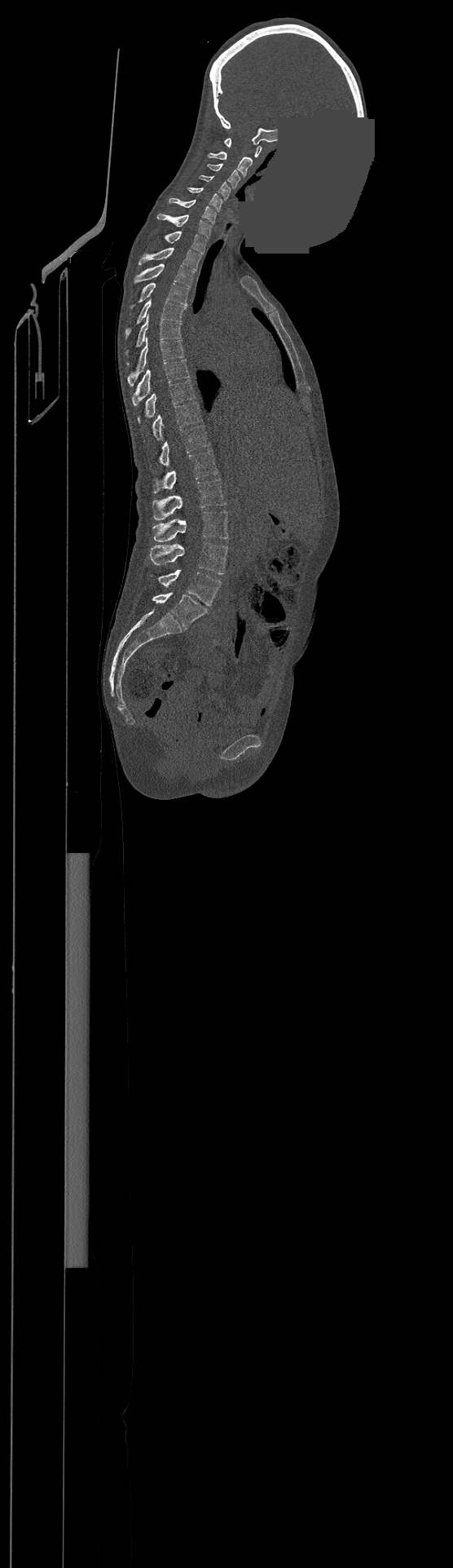
Spine computed tomography — sagittal view — Bone window (WL 400, WW 1800) — 453x1568 px — the image is 500 mm wide — part of the image has been replaced by a constant value
This scan's labels start at C1 at the top and end at L4 at the bottom.
<vertebrae><v name="C1" x1="225" y1="138" x2="261" y2="157"/><v name="C2" x1="209" y1="151" x2="252" y2="176"/><v name="C3" x1="207" y1="163" x2="240" y2="188"/><v name="C4" x1="199" y1="174" x2="230" y2="200"/><v name="C5" x1="187" y1="188" x2="222" y2="211"/><v name="C6" x1="169" y1="198" x2="216" y2="223"/><v name="C7" x1="157" y1="214" x2="211" y2="238"/><v name="T1" x1="165" y1="231" x2="206" y2="254"/><v name="T2" x1="139" y1="248" x2="200" y2="270"/><v name="T3" x1="134" y1="263" x2="194" y2="287"/><v name="T4" x1="130" y1="282" x2="188" y2="309"/><v name="T5" x1="125" y1="298" x2="186" y2="338"/><v name="T6" x1="125" y1="314" x2="182" y2="364"/><v name="T7" x1="127" y1="338" x2="184" y2="386"/><v name="T8" x1="132" y1="360" x2="189" y2="406"/><v name="T9" x1="138" y1="380" x2="195" y2="422"/><v name="T10" x1="152" y1="402" x2="201" y2="439"/><v name="T11" x1="159" y1="426" x2="209" y2="466"/><v name="T12" x1="153" y1="450" x2="218" y2="492"/><v name="L1" x1="152" y1="479" x2="226" y2="520"/><v name="L2" x1="153" y1="510" x2="228" y2="541"/><v name="L3" x1="149" y1="542" x2="227" y2="574"/><v name="L4" x1="157" y1="570" x2="221" y2="605"/></vertebrae>